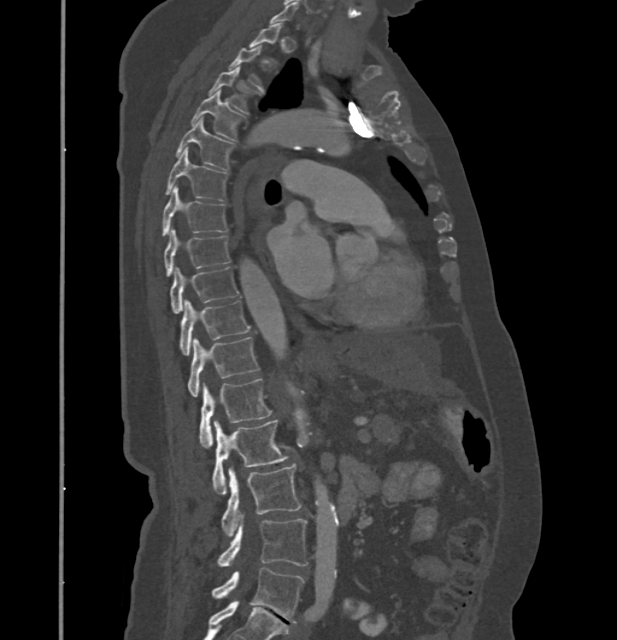

CT, spine · sagittal view · bone window · 617x640 px
Boxes below are [x1, y1, x2, y2] in pixels.
A vertebra is boxed only from the first to the last slice where its cross-section is at least a third of its largest; slices outside that range leave it without a box.
In these labels the thoracic vertebrae end at T11, so L1 follows T11.
{"vertebrae":{"T2":[229,46,262,89],"T3":[210,66,249,112],"T4":[192,90,240,141],"T5":[176,119,232,171],"T6":[165,149,226,199],"T7":[163,186,228,235],"T8":[164,229,230,275],"T9":[170,267,238,314],"T10":[180,299,249,355],"T11":[188,337,259,396],"L1":[200,379,271,448],"L2":[212,420,287,494],"L3":[222,465,300,536],"L4":[218,515,308,566],"L5":[211,567,303,622]}}